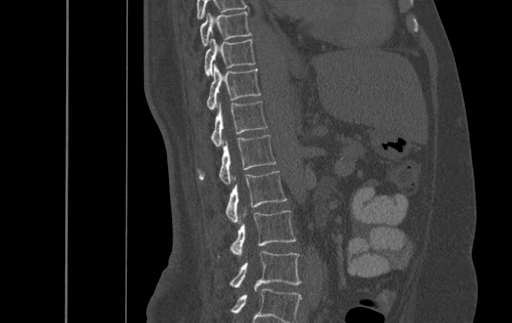

CT — sagittal view — bone-window reconstruction — 500 mm across the image
Boxes: x1:y1:x2:y2 in pixels.
Labels in this scan begin with T9 at the top and end with L4 at the bottom.
Vertebra bounding boxes:
- T9: 200:11:251:46
- T10: 205:38:255:76
- T11: 207:63:260:110
- T12: 211:101:267:146
- L1: 198:135:275:184
- L2: 225:171:287:222
- L3: 218:211:296:257
- L4: 229:251:301:291